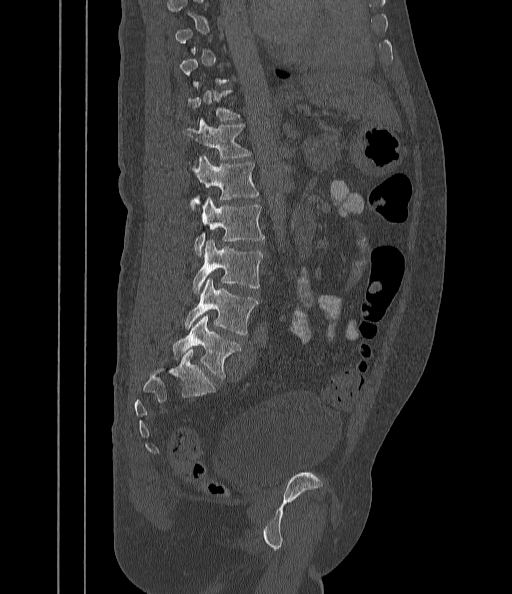
CT. sagittal view. bone window. the image is 442 mm wide

Not every vertebra on this slice has a box: a vertebra is boxed only from the first to the last slice where its cross-section is at least a third of its largest, and this slice is outside that range for at least one of them.
<vertebrae><v name="T12" x1="183" y1="120" x2="250" y2="159"/><v name="L1" x1="192" y1="156" x2="258" y2="202"/><v name="L2" x1="195" y1="196" x2="264" y2="254"/><v name="L3" x1="192" y1="240" x2="262" y2="294"/><v name="L4" x1="184" y1="278" x2="257" y2="334"/><v name="L5" x1="173" y1="314" x2="240" y2="378"/></vertebrae>